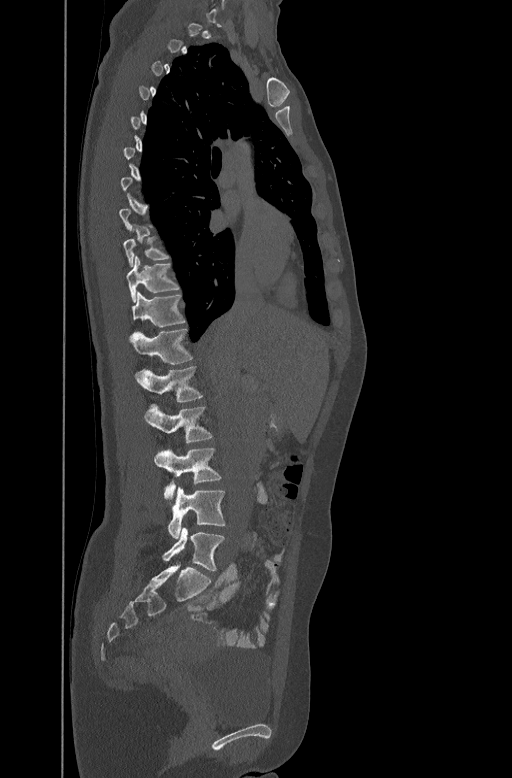
Spine CT. sagittal reformat. the image spans 447 mm across
Boxes below are [x1, y1, x2, y2] in pixels.
A vertebra is boxed only from the first to the last slice where its cross-section is at least a third of its largest; slices outside that range leave it without a box.
{"vertebrae":{"L5":[163,528,225,570],"L4":[167,487,226,538],"L3":[155,447,221,500],"L2":[144,404,213,443],"L1":[135,365,203,402],"T12":[131,327,193,363],"T11":[131,291,186,335],"T10":[126,255,180,300],"T9":[124,227,170,266]}}